CT — sagittal reformat — W/L 1800/400 HU — scan covers 12 annotated vertebrae
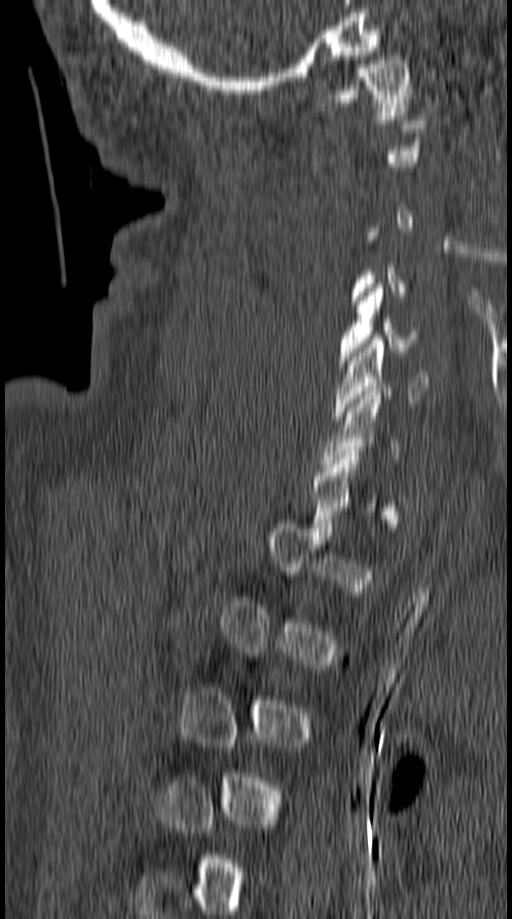

Boxes below are [x1, y1, x2, y2] in pixels.
A vertebra is boxed only from the first to the last slice where its cross-section is at least a third of its largest; slices outside that range leave it without a box.
{"vertebrae":{"C1":[328,56,409,119],"C5":[338,283,419,364],"C6":[333,339,430,420]}}